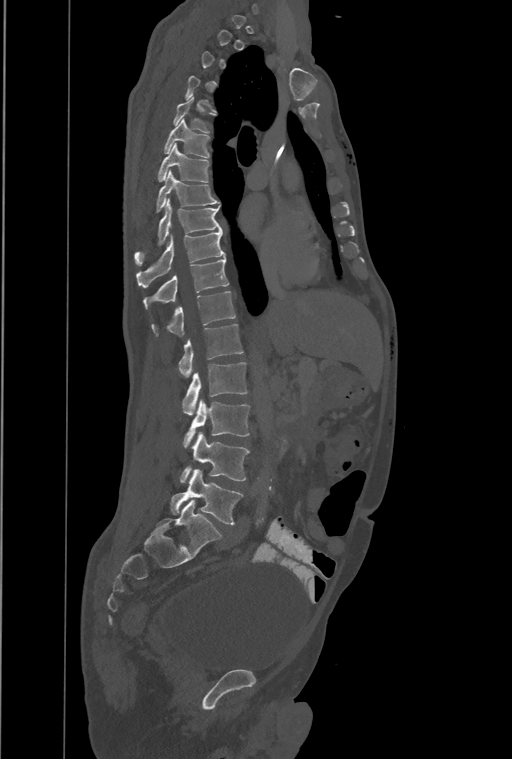
Spine CT. 461 mm across the image. sagittal view. 512x759 px

Boxes are (x1, y1, x2, y2) in pixels. Not every vertebra on this slice has a box: a vertebra is boxed only from the first to the last slice where its cross-section is at least a third of its largest, and this slice is outside that range for at least one of them. The highest labeled vertebra in this scan is T1; the lowest is L4. In these labels the spine has a T13, a thirteenth thoracic vertebra, between T12 and L1. The labeled vertebrae in this slice are: L4 at (171, 469, 243, 525), L3 at (181, 432, 249, 483), L2 at (183, 400, 249, 448), L1 at (183, 362, 247, 415), T13 at (178, 324, 243, 377), T12 at (151, 291, 235, 336), T11 at (143, 257, 228, 309), T10 at (136, 230, 225, 287), T9 at (135, 199, 221, 264), T8 at (157, 170, 218, 211), T7 at (158, 144, 208, 181), T6 at (164, 119, 208, 157), T5 at (174, 96, 214, 131).